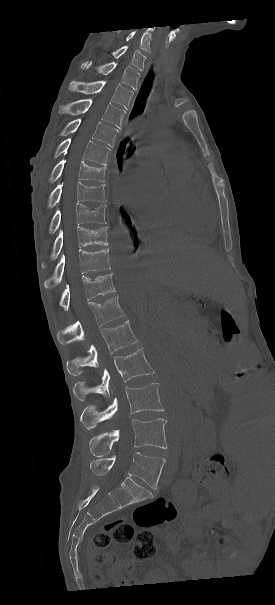

CT, spine — sagittal reformat — 275x605 px — image width 275 mm
Columns x1, y1, x2, y2 give each box's top-left and bottom-right pixels.
Labels in this scan begin with C7 at the top and end with L5 at the bottom.
| vertebra | x1 | y1 | x2 | y2 |
|---|---|---|---|---|
| C7 | 112 | 46 | 145 | 70 |
| T1 | 81 | 61 | 139 | 89 |
| T2 | 68 | 80 | 133 | 109 |
| T3 | 58 | 98 | 125 | 129 |
| T4 | 52 | 118 | 118 | 146 |
| T5 | 54 | 138 | 110 | 165 |
| T6 | 36 | 159 | 105 | 194 |
| T7 | 36 | 180 | 106 | 217 |
| T8 | 40 | 203 | 106 | 240 |
| T9 | 41 | 226 | 107 | 267 |
| T10 | 43 | 249 | 110 | 288 |
| T11 | 60 | 273 | 115 | 310 |
| T12 | 57 | 297 | 124 | 345 |
| L1 | 66 | 320 | 137 | 375 |
| L2 | 73 | 348 | 154 | 400 |
| L3 | 80 | 383 | 163 | 429 |
| L4 | 88 | 418 | 167 | 456 |
| L5 | 90 | 452 | 165 | 489 |